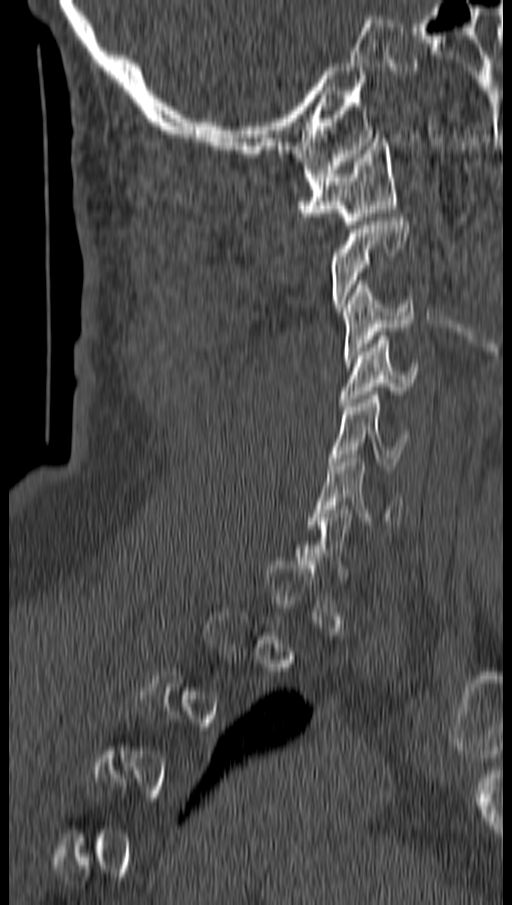 Computed tomography of the spine; sagittal view; bone-window reconstruction. Each box given as x1,y1,x2,y2.
A vertebra is boxed only from the first to the last slice where its cross-section is at least a third of its largest; slices outside that range leave it without a box.
C1: x1=298, y1=138, x2=395, y2=228
C3: x1=342, y1=280, x2=414, y2=362
C4: x1=339, y1=336, x2=417, y2=406
C5: x1=330, y1=391, x2=409, y2=469
C6: x1=311, y1=454, x2=403, y2=528